CT; sagittal view; Bone window (WL 400, WW 1800); 204x272 px; 6 vertebrae labeled in this scan
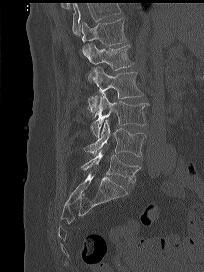
Boxes are given in columns x1, y1, x2, y2, the pixel coordinates of their top-left and bottom-right corners.
Vertebrae that run past the top of the scan are left unlabeled.
| vertebra | x1 | y1 | x2 | y2 |
|---|---|---|---|---|
| T12 | 81 | 17 | 126 | 56 |
| L1 | 87 | 44 | 134 | 82 |
| L2 | 88 | 67 | 143 | 117 |
| L3 | 90 | 93 | 149 | 136 |
| L4 | 84 | 119 | 146 | 157 |
| L5 | 81 | 151 | 140 | 184 |